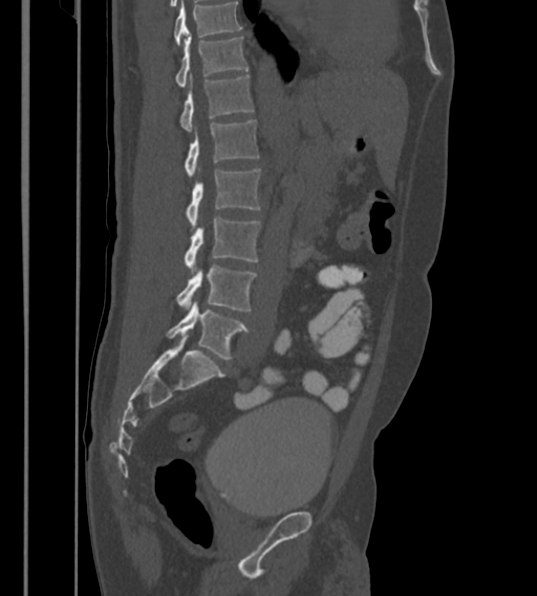 CT, spine · sagittal reformat · W/L 1800/400 HU
Box values are [left, top, right, bottom] in pixels.
In this scan, the topmost labeled vertebra is T12 and the lowest is L6.
The labels name a sixth lumbar vertebra for this spine: L6, after L5.
{"vertebrae":{"L6":[168,301,248,359],"L5":[176,266,256,311],"L4":[185,216,260,274],"L3":[186,169,260,229],"L2":[185,120,259,178],"L1":[180,75,254,131],"T12":[176,36,248,88]}}